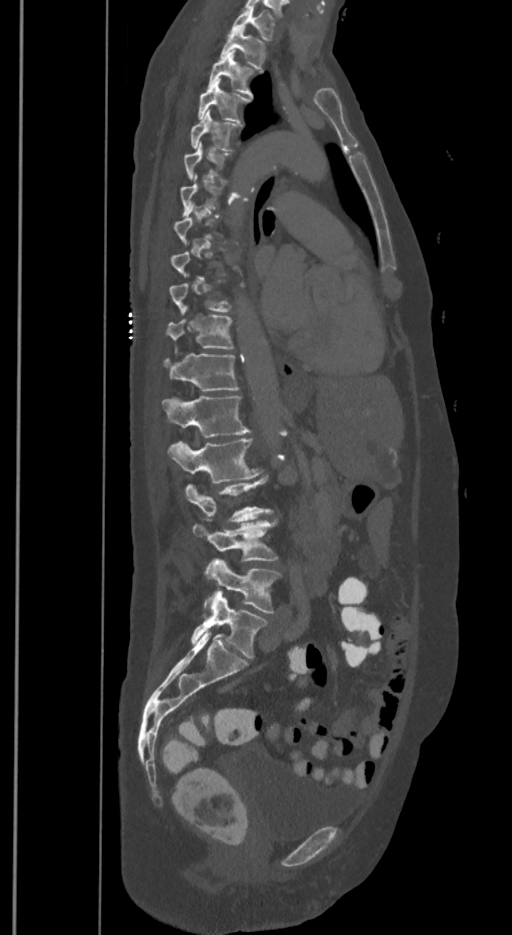 CT spine; sagittal view; bone-window reconstruction; 512x935 px. Boxes are given in columns x1, y1, x2, y2, the pixel coordinates of their top-left and bottom-right corners.
A vertebra gets a box only on the slices from the first to the last where its cross-section is at least a third of its largest; on a slice outside that range it gets none.
In these labels the spine has an L6, a sixth lumbar vertebra below L5.
| vertebra | x1 | y1 | x2 | y2 |
|---|---|---|---|---|
| L6 | 191 | 591 | 266 | 657 |
| L5 | 206 | 560 | 280 | 613 |
| L4 | 193 | 521 | 277 | 561 |
| L3 | 186 | 477 | 272 | 522 |
| L2 | 168 | 438 | 259 | 483 |
| L1 | 162 | 396 | 249 | 436 |
| T12 | 165 | 353 | 237 | 391 |
| T11 | 167 | 315 | 233 | 349 |
| T5 | 190 | 109 | 239 | 150 |
| T4 | 199 | 79 | 249 | 121 |
| T3 | 209 | 50 | 253 | 95 |
| T2 | 221 | 26 | 264 | 69 |
| T1 | 232 | 7 | 274 | 40 |